CT — sagittal reformat — 450 mm wide — Bone window (WL 400, WW 1800)
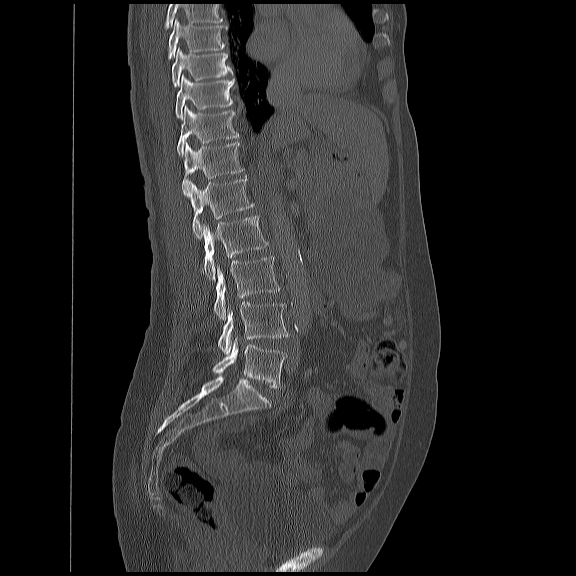

Each box given as x1,y1,x2,y2.
Where the top of the scan cuts through a vertebra, that vertebra gets no label or box.
Vertebra bounding boxes:
- L5: x1=212, y1=337, x2=285, y2=387
- L4: x1=217, y1=301, x2=289, y2=354
- L3: x1=212, y1=255, x2=279, y2=319
- L2: x1=202, y1=215, x2=267, y2=279
- L1: x1=190, y1=174, x2=253, y2=239
- T12: x1=181, y1=140, x2=243, y2=194
- T11: x1=175, y1=105, x2=238, y2=155
- T10: x1=174, y1=74, x2=233, y2=118
- T9: x1=171, y1=47, x2=233, y2=86
- T8: x1=168, y1=18, x2=226, y2=58